CT, spine. sagittal view. bone-window reconstruction
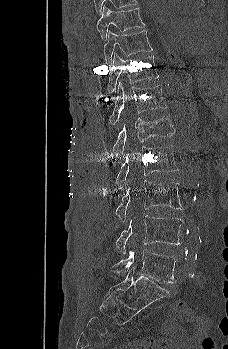 Each box given as x1,y1,x2,y2.
| vertebra | x1 | y1 | x2 | y2 |
|---|---|---|---|---|
| L5 | 112 | 250 | 178 | 283 |
| L4 | 116 | 215 | 184 | 254 |
| L3 | 115 | 180 | 183 | 221 |
| L2 | 115 | 145 | 178 | 188 |
| L1 | 113 | 116 | 174 | 156 |
| T12 | 109 | 82 | 166 | 126 |
| T11 | 106 | 52 | 158 | 93 |
| T10 | 103 | 30 | 153 | 65 |
| T9 | 96 | 6 | 144 | 41 |